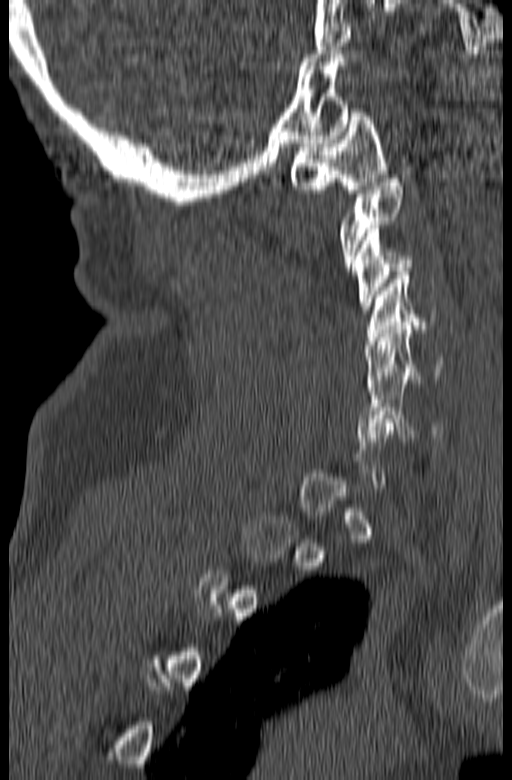 Computed tomography of the spine — sagittal reformat — Bone window (WL 400, WW 1800) — image width 165 mm — 512x780 px
A vertebra gets a box only on the slices from the first to the last where its cross-section is at least a third of its largest; on a slice outside that range it gets none.
<vertebrae><v name="C1" x1="290" y1="109" x2="385" y2="193"/><v name="C2" x1="339" y1="175" x2="401" y2="271"/><v name="C3" x1="353" y1="225" x2="413" y2="313"/><v name="C4" x1="364" y1="272" x2="434" y2="348"/><v name="C5" x1="365" y1="322" x2="441" y2="391"/><v name="C6" x1="356" y1="376" x2="442" y2="441"/></vertebrae>